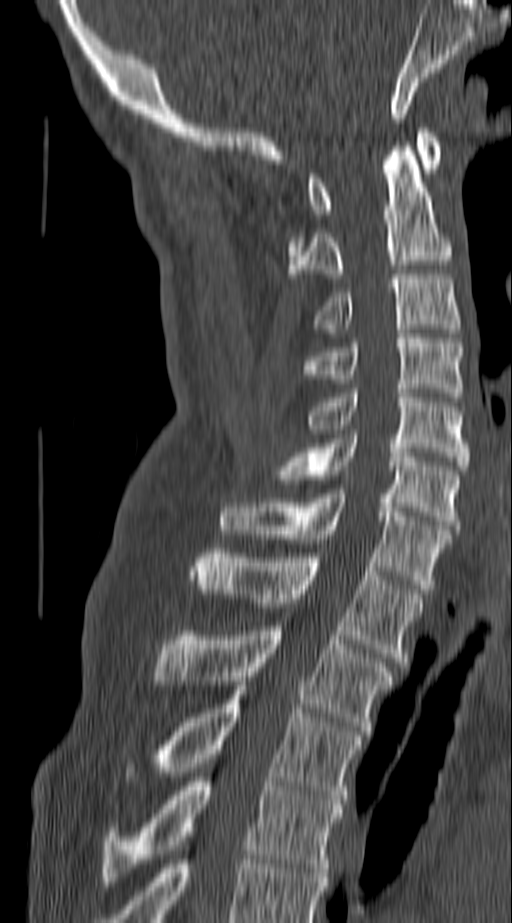

Computed tomography of the spine — sagittal reformat — W/L 1800/400 HU

Each row gives a vertebra's box as x1, y1, x2, y2 in pixels: top-left corner, then bottom-right corner.
| vertebra | x1 | y1 | x2 | y2 |
|---|---|---|---|---|
| T4 | 100 | 777 | 344 | 886 |
| T3 | 126 | 686 | 362 | 804 |
| T2 | 151 | 626 | 392 | 730 |
| T1 | 192 | 549 | 421 | 666 |
| C7 | 221 | 494 | 450 | 589 |
| C6 | 271 | 434 | 461 | 529 |
| C5 | 305 | 389 | 468 | 470 |
| C4 | 301 | 334 | 461 | 397 |
| C3 | 312 | 274 | 461 | 328 |
| C2 | 287 | 142 | 450 | 278 |
| C1 | 309 | 128 | 439 | 218 |